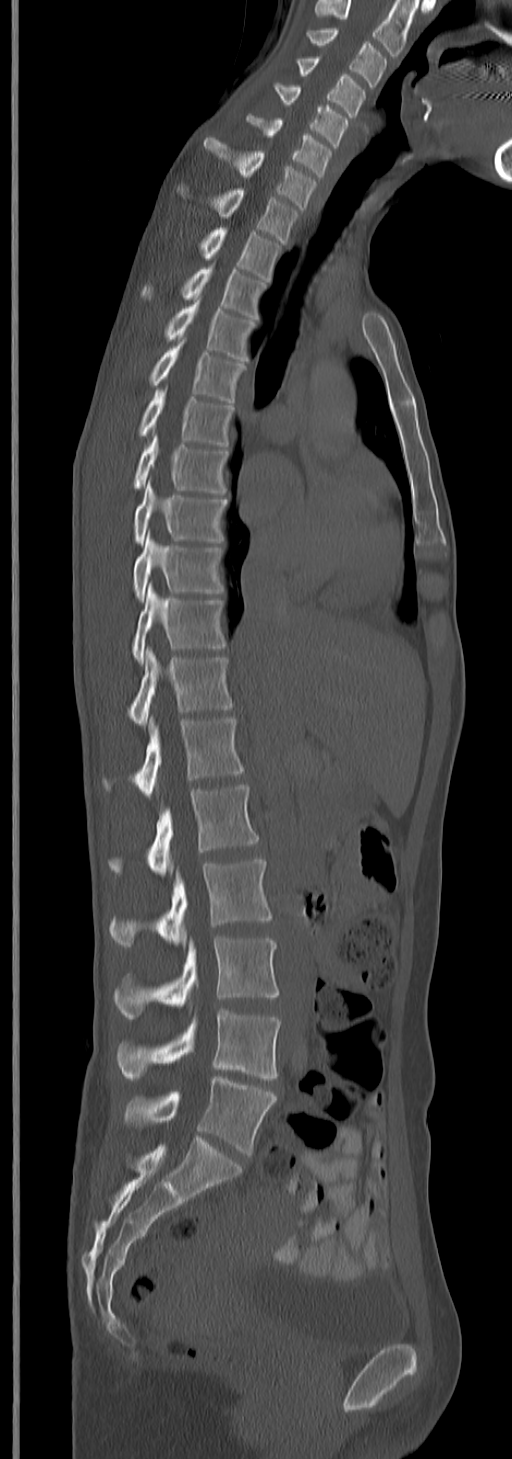

Computed tomography of the spine — sagittal view — the image is 245 mm wide — W/L 1800/400 HU. Bounding boxes as [x1, y1, x2, y2] in pixel coordinates.
In this scan, the topmost labeled vertebra is C3 and the lowest is L5.
C3: [306, 28, 386, 85]
C4: [295, 57, 365, 117]
C5: [274, 82, 351, 146]
C6: [247, 116, 332, 177]
C7: [205, 139, 317, 209]
T1: [178, 187, 300, 242]
T2: [199, 226, 282, 282]
T3: [141, 266, 265, 319]
T4: [166, 299, 255, 359]
T5: [149, 341, 246, 403]
T6: [138, 389, 234, 447]
T7: [132, 435, 227, 493]
T8: [132, 481, 227, 543]
T9: [132, 534, 223, 599]
T10: [132, 584, 225, 664]
T11: [128, 649, 234, 725]
T12: [103, 718, 244, 798]
L1: [109, 784, 259, 875]
L2: [109, 858, 271, 946]
L3: [113, 937, 280, 1020]
L4: [115, 1010, 282, 1080]
L5: [124, 1077, 277, 1155]